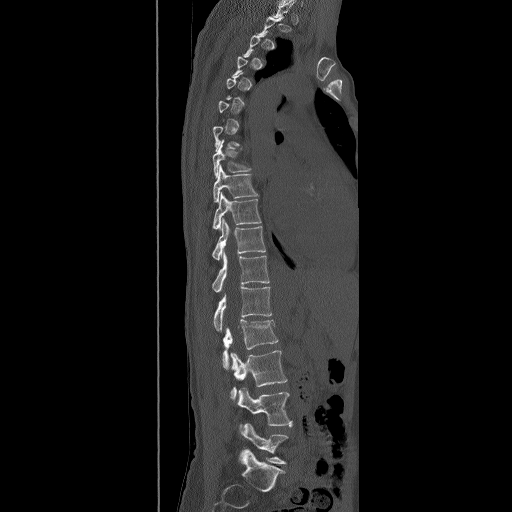 Spine CT. sagittal reformat
Each vertebra is boxed only on the slices from the first to the last where its cross-section reaches a third of its largest, so a slice outside that range leaves it unboxed.
<vertebrae><v name="L5" x1="240" y1="423" x2="289" y2="464"/><v name="L4" x1="235" y1="387" x2="292" y2="428"/><v name="L3" x1="230" y1="350" x2="287" y2="402"/><v name="L2" x1="222" y1="319" x2="278" y2="370"/><v name="L1" x1="213" y1="287" x2="272" y2="331"/><v name="T12" x1="211" y1="252" x2="269" y2="292"/><v name="T11" x1="211" y1="218" x2="266" y2="260"/><v name="T10" x1="212" y1="192" x2="262" y2="229"/><v name="T9" x1="212" y1="164" x2="259" y2="203"/><v name="T8" x1="212" y1="139" x2="251" y2="178"/></vertebrae>